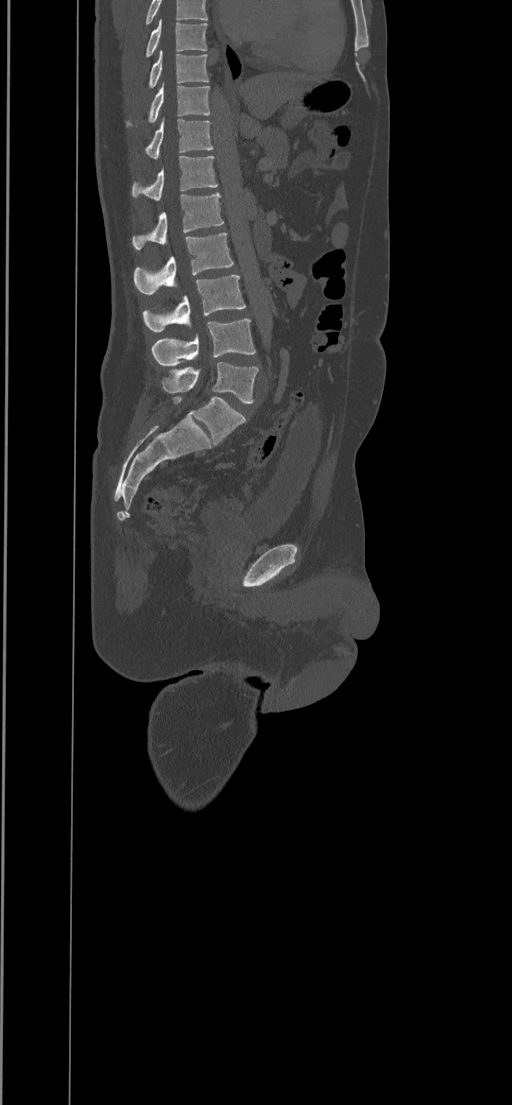
Spine computed tomography; sagittal view
The highest labeled vertebra in this scan is T8; the lowest is L5.
<vertebrae><v name="L5" x1="162" y1="362" x2="258" y2="402"/><v name="L4" x1="151" y1="319" x2="255" y2="366"/><v name="L3" x1="143" y1="275" x2="245" y2="331"/><v name="L2" x1="133" y1="233" x2="234" y2="294"/><v name="L1" x1="132" y1="192" x2="223" y2="250"/><v name="T12" x1="131" y1="155" x2="217" y2="200"/><v name="T11" x1="144" y1="117" x2="214" y2="158"/><v name="T10" x1="126" y1="84" x2="210" y2="127"/><v name="T9" x1="149" y1="50" x2="209" y2="87"/><v name="T8" x1="145" y1="19" x2="208" y2="58"/></vertebrae>